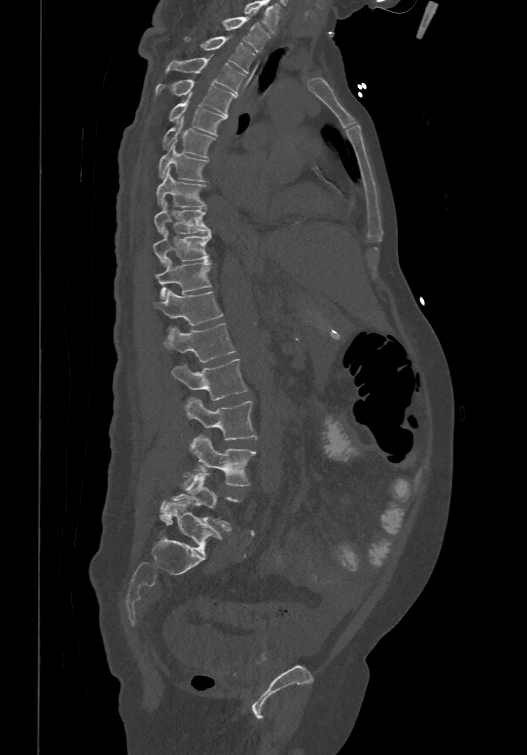 Spine computed tomography — sagittal view — W/L 1800/400 HU
Coordinates as <box>x1,y1,x2,y2</box>.
The highest labeled vertebra in this scan is T1; the lowest is L6.
These labels give the spine a sixth lumbar vertebra, L6, below L5.
Vertebra bounding boxes:
- L6: <box>164,500,221,555</box>
- L5: <box>159,473,238,530</box>
- L4: <box>182,434,255,487</box>
- L3: <box>184,398,257,440</box>
- L2: <box>171,357,248,400</box>
- L1: <box>164,322,236,361</box>
- T12: <box>153,288,222,324</box>
- T11: <box>154,256,211,299</box>
- T10: <box>152,227,211,265</box>
- T9: <box>154,200,210,232</box>
- T8: <box>156,166,206,206</box>
- T7: <box>158,140,208,180</box>
- T6: <box>163,116,215,156</box>
- T5: <box>169,92,226,134</box>
- T4: <box>155,78,236,114</box>
- T3: <box>166,56,245,93</box>
- T2: <box>184,36,254,72</box>
- T1: <box>222,16,270,52</box>